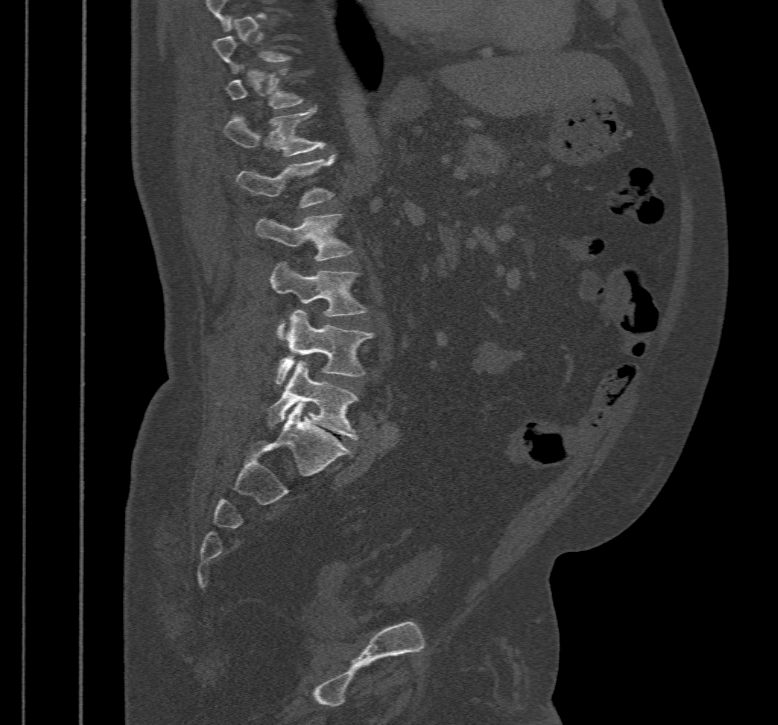
Spine computed tomography — image width 467 mm — sagittal view
Box edges are left/top/right/bottom in pixels. A vertebra is boxed only from the first to the last slice where its cross-section is at least a third of its largest; slices outside that range leave it without a box. 6 vertebrae labeled — L5 at left=268, top=360, right=358, bottom=439; L4 at left=275, top=310, right=374, bottom=384; L3 at left=271, top=262, right=367, bottom=333; L2 at left=255, top=214, right=352, bottom=261; L1 at left=237, top=154, right=333, bottom=208; T12 at left=223, top=107, right=326, bottom=156.